Spine computed tomography. image 228 mm wide. sagittal view. bone-window reconstruction. scan covers 5 annotated vertebrae
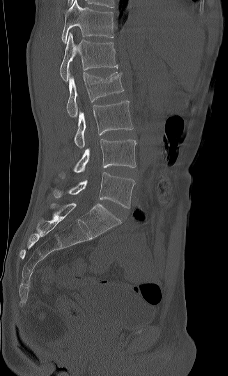 The highest labeled vertebra in this scan is L1; the lowest is L5.
<vertebrae><v name="L1" x1="60" y1="32" x2="118" y2="81"/><v name="L2" x1="66" y1="72" x2="123" y2="117"/><v name="L3" x1="74" y1="100" x2="132" y2="147"/><v name="L4" x1="58" y1="139" x2="136" y2="178"/><v name="L5" x1="53" y1="172" x2="135" y2="208"/></vertebrae>